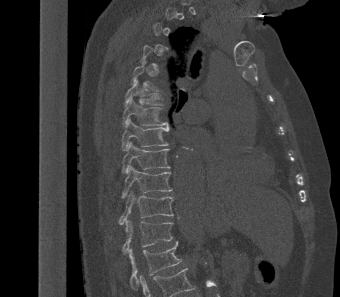 Spine CT — sagittal view — Bone window (WL 400, WW 1800)
Not every vertebra on this slice has a box: a vertebra is boxed only from the first to the last slice where its cross-section is at least a third of its largest, and this slice is outside that range for at least one of them.
<vertebrae><v name="L1" x1="128" y1="241" x2="181" y2="290"/><v name="T12" x1="122" y1="220" x2="173" y2="253"/><v name="T11" x1="118" y1="190" x2="173" y2="225"/><v name="T10" x1="121" y1="164" x2="172" y2="198"/><v name="T9" x1="121" y1="141" x2="170" y2="173"/><v name="T8" x1="121" y1="118" x2="169" y2="151"/><v name="T7" x1="122" y1="97" x2="169" y2="129"/><v name="T6" x1="123" y1="80" x2="161" y2="106"/></vertebrae>